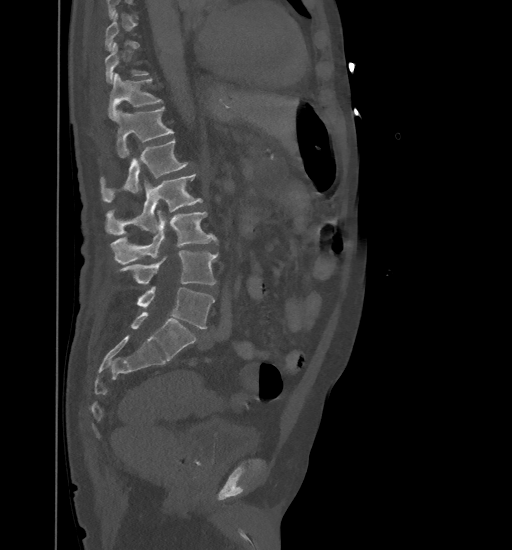

CT spine · sagittal view · image width 461 mm · bone-window reconstruction · 512x550 px
Each box given as x1,y1,x2,y2.
A vertebra is boxed only from the first to the last slice where its cross-section is at least a third of its largest; slices outside that range leave it without a box.
L5: x1=136, y1=287, x2=214, y2=328
L4: x1=119, y1=250, x2=217, y2=285
L3: x1=111, y1=210, x2=217, y2=264
L2: x1=106, y1=173, x2=202, y2=235
L1: x1=101, y1=139, x2=188, y2=202
T12: x1=116, y1=107, x2=173, y2=158
T11: x1=108, y1=73, x2=161, y2=121